CT spine; Sagittal slice 215/512; bone window
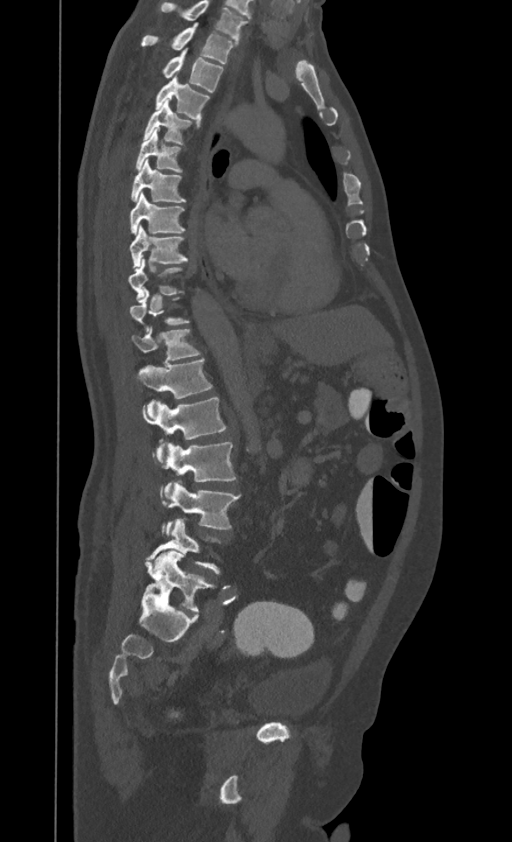 Box edges are left/top/right/bottom in pixels. Each vertebra is boxed only on the slices from the first to the last where its cross-section reaches a third of its largest, so a slice outside that range leaves it unboxed. Labels in this scan begin with T1 at the top and end with L4 at the bottom. 15 vertebrae labeled — L4 at left=146, top=518, right=221, bottom=573; L3 at left=161, top=483, right=240, bottom=536; L2 at left=163, top=442, right=236, bottom=498; L1 at left=142, top=397, right=226, bottom=462; T12 at left=137, top=359, right=211, bottom=418; T11 at left=132, top=327, right=200, bottom=363; T9 at left=128, top=257, right=182, bottom=302; T8 at left=129, top=225, right=187, bottom=268; T7 at left=129, top=191, right=184, bottom=233; T6 at left=131, top=160, right=186, bottom=202; T5 at left=136, top=128, right=182, bottom=172; T4 at left=144, top=99, right=200, bottom=144; T3 at left=155, top=76, right=209, bottom=121; T2 at left=162, top=49, right=223, bottom=92; T1 at left=141, top=23, right=236, bottom=63.